CT spine — the image spans 199 mm across — sagittal view — bone-window reconstruction
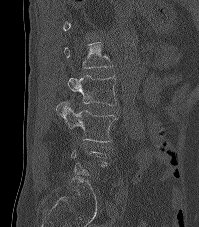

Boxes are (x1, y1, x2, y2) in pixels. Not every vertebra on this slice has a box: a vertebra is boxed only from the first to the last slice where its cross-section is at least a third of its largest, and this slice is outside that range for at least one of them. The labeled vertebrae in this slice are: L1 at (64, 42, 112, 68), L2 at (67, 75, 116, 105), L3 at (56, 102, 116, 142).